Spine computed tomography · sagittal view · 230x400 px · 14 vertebrae labeled in this scan
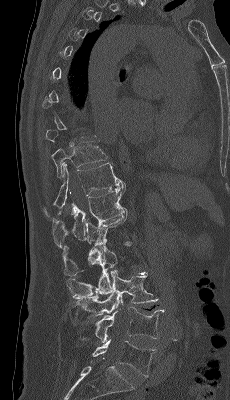
Box edges are left/top/right/bottom in pixels. A vertebra is boxed only from the first to the last slice where its cross-section is at least a third of its largest; slices outside that range leave it without a box. 8 vertebrae labeled — L5 at left=92, top=339, right=157, bottom=377; L4 at left=81, top=306, right=165, bottom=342; L3 at left=75, top=270, right=158, bottom=317; L2 at left=67, top=243, right=129, bottom=299; L1 at left=63, top=214, right=127, bottom=276; T12 at left=52, top=184, right=127, bottom=248; T11 at left=44, top=162, right=125, bottom=216; T10 at left=52, top=142, right=107, bottom=178.